Spine computed tomography. image 140 mm wide. Sagittal slice 140/512
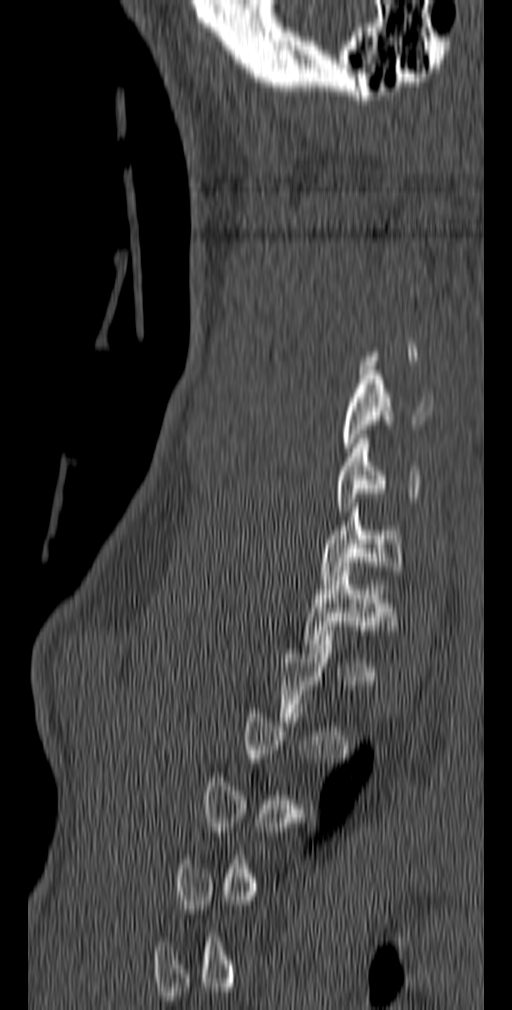 Boxes: x1:y1:x2:y2 in pixels.
Each vertebra is boxed only on the slices from the first to the last where its cross-section reaches a third of its largest, so a slice outside that range leaves it unboxed.
C5: 341:366:432:452
C6: 337:434:421:511
C7: 320:503:401:584
T1: 304:567:399:653